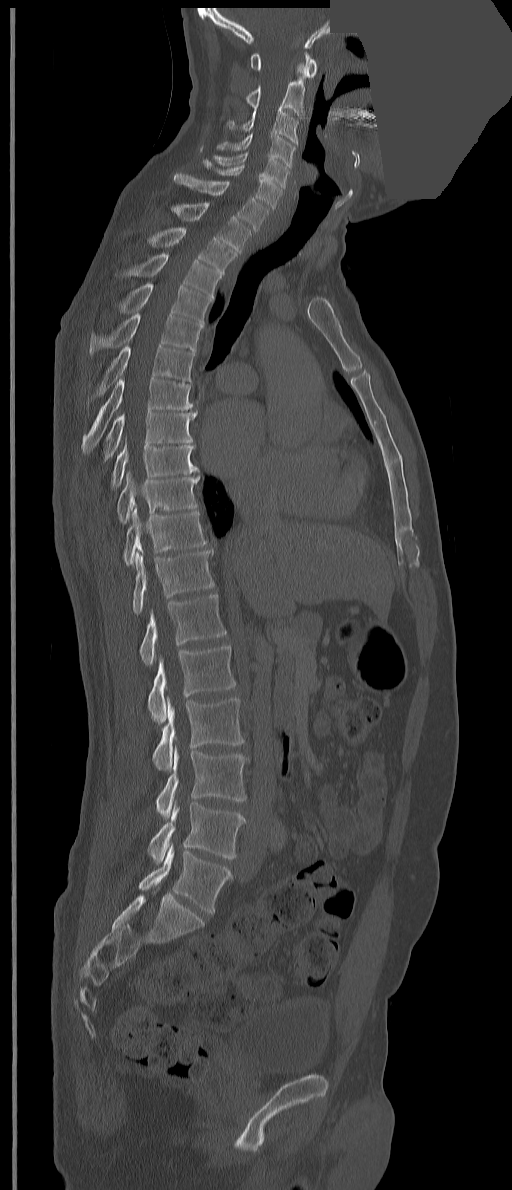

CT. sagittal view. 512x1190 px. part of the image is a flat gray fill, not anatomy
Boxes are given in columns x1, y1, x2, y2, the pixel coordinates of their top-left and bottom-right corners.
These labels give the spine a thirteenth thoracic vertebra: T13 sits between T12 and L1.
| vertebra | x1 | y1 | x2 | y2 |
|---|---|---|---|---|
| C1 | 251 | 52 | 317 | 78 |
| C2 | 245 | 62 | 304 | 116 |
| C3 | 226 | 107 | 298 | 145 |
| C4 | 216 | 132 | 295 | 169 |
| C5 | 213 | 151 | 290 | 188 |
| C6 | 203 | 159 | 282 | 208 |
| C7 | 174 | 172 | 269 | 230 |
| T1 | 171 | 201 | 252 | 254 |
| T2 | 148 | 227 | 236 | 274 |
| T3 | 121 | 252 | 221 | 298 |
| T4 | 120 | 283 | 211 | 323 |
| T5 | 89 | 313 | 203 | 355 |
| T6 | 88 | 344 | 194 | 403 |
| T7 | 81 | 377 | 193 | 453 |
| T8 | 104 | 410 | 198 | 460 |
| T9 | 111 | 442 | 200 | 488 |
| T10 | 117 | 473 | 199 | 523 |
| T11 | 123 | 508 | 206 | 565 |
| T12 | 132 | 550 | 214 | 615 |
| T13 | 139 | 594 | 227 | 666 |
| L1 | 148 | 645 | 236 | 724 |
| L2 | 152 | 696 | 244 | 771 |
| L3 | 155 | 747 | 247 | 819 |
| L4 | 148 | 802 | 246 | 864 |
| L5 | 139 | 844 | 231 | 914 |